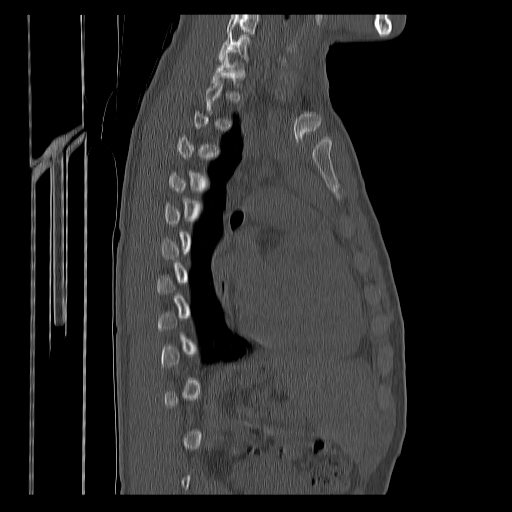 CT spine. sagittal reformat. 512x512 px. In the table, x1 and y1 are a box's top-left corner and x2 and y2 its bottom-right corner, in pixels.
Each vertebra is boxed only on the slices from the first to the last where its cross-section reaches a third of its largest, so a slice outside that range leaves it unboxed.
Labels in this scan begin with C7 at the top and end with T12 at the bottom.
| vertebra | x1 | y1 | x2 | y2 |
|---|---|---|---|---|
| C7 | 219 | 33 | 249 | 61 |
| T1 | 213 | 55 | 245 | 86 |